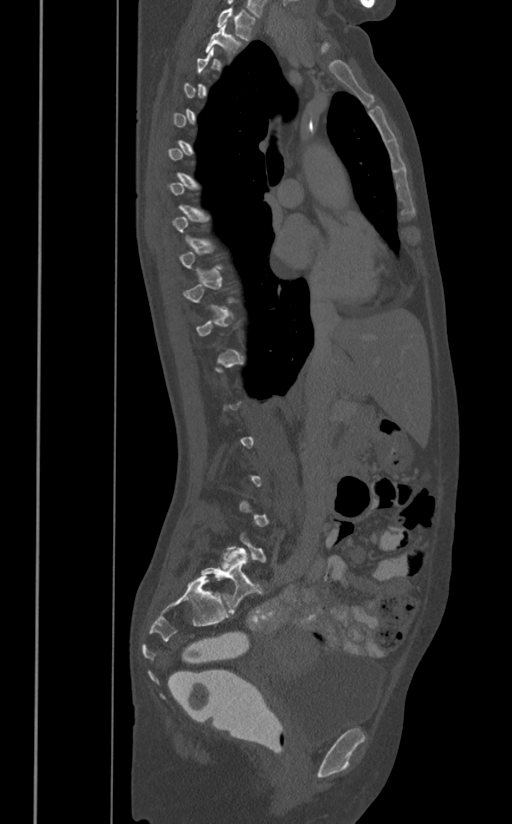 Spine CT · 391 mm image width · sagittal view

Each vertebra is boxed only on the slices from the first to the last where its cross-section reaches a third of its largest, so a slice outside that range leaves it unboxed.
<vertebrae><v name="T1" x1="217" y1="6" x2="255" y2="40"/><v name="T2" x1="205" y1="24" x2="242" y2="54"/></vertebrae>